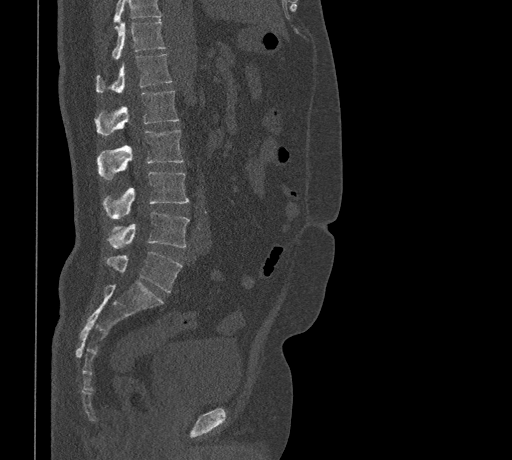

Computed tomography of the spine; sagittal view; bone-window reconstruction; image width 461 mm. Boxes are given in columns x1, y1, x2, y2, the pixel coordinates of their top-left and bottom-right corners.
A vertebra cut off by the top edge of the scan is not labeled and has no box.
| vertebra | x1 | y1 | x2 | y2 |
|---|---|---|---|---|
| T11 | 111 | 20 | 165 | 59 |
| T12 | 95 | 53 | 172 | 92 |
| L1 | 94 | 90 | 179 | 135 |
| L2 | 96 | 130 | 183 | 179 |
| L3 | 103 | 171 | 189 | 219 |
| L4 | 109 | 211 | 189 | 248 |
| L5 | 107 | 252 | 182 | 292 |